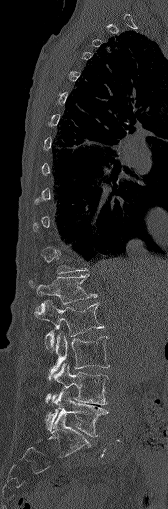
CT, spine; sagittal view
Each box is [x1, y1, x2, y2] in pixels: top-left corner, then bottom-right corner.
Not every vertebra on this slice has a box: a vertebra is boxed only from the first to the last slice where its cross-section is at least a third of its largest, and this slice is outside that range for at least one of them.
{"vertebrae":{"L1":[30,275,96,304],"L2":[35,300,103,348],"L3":[49,333,109,379],"L4":[46,363,108,404],"L5":[45,389,107,436]}}